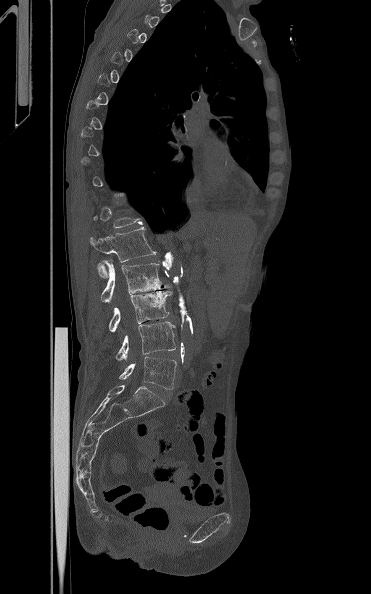 CT spine · sagittal reformat · bone window
Coordinates as <box>x1,y1,x2,y2</box>. Each vertebra is boxed only on the slices from the first to the last where its cross-section reaches a third of its largest, so a slice outside that range leaves it unboxed. 5 vertebrae labeled — L5 at <box>119,356,176,389</box>; L4 at <box>116,321,175,360</box>; L3 at <box>108,291,172,332</box>; L2 at <box>98,260,170,302</box>; L1 at <box>90,227,156,278</box>.